CT spine · sagittal view · 461 mm wide
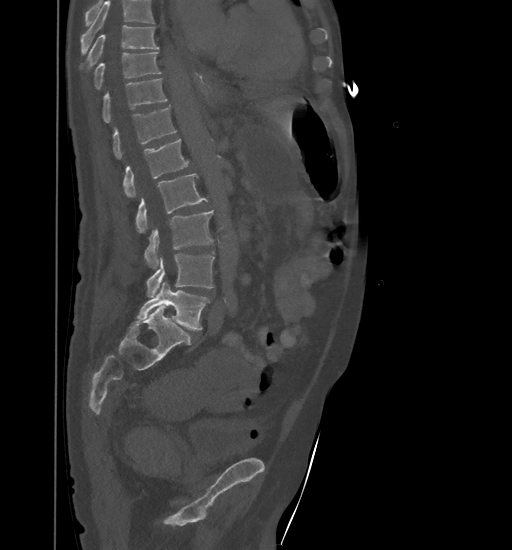
Vertebrae that run past the top of the scan are left unlabeled.
<vertebrae><v name="L5" x1="136" y1="282" x2="210" y2="330"/><v name="L4" x1="146" y1="253" x2="214" y2="297"/><v name="L3" x1="145" y1="210" x2="213" y2="268"/><v name="L2" x1="136" y1="173" x2="207" y2="233"/><v name="L1" x1="123" y1="139" x2="189" y2="198"/><v name="T12" x1="113" y1="106" x2="177" y2="159"/><v name="T11" x1="103" y1="78" x2="168" y2="122"/><v name="T10" x1="94" y1="52" x2="161" y2="88"/><v name="T9" x1="88" y1="25" x2="159" y2="68"/></vertebrae>